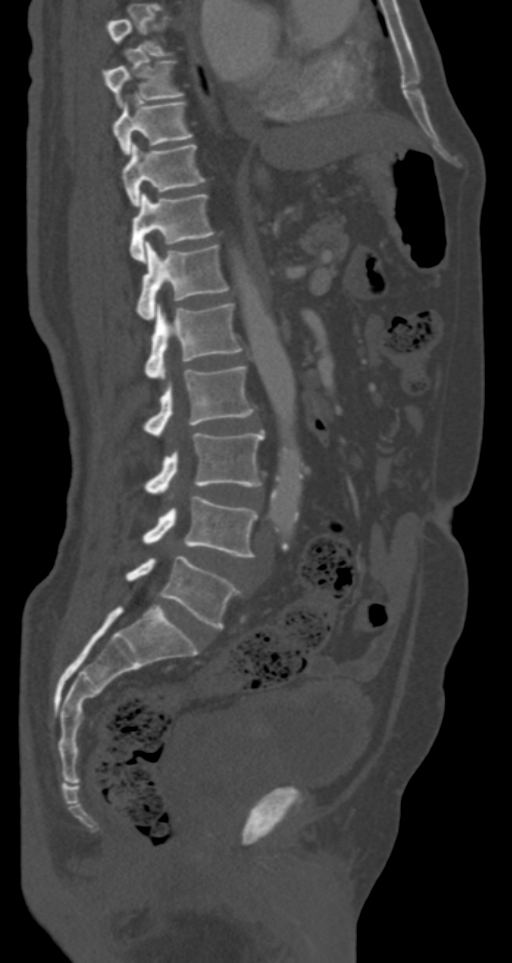
CT spine. sagittal view. the image is 287 mm wide
Box edges are left/top/right/bottom in pixels. A vertebra is boxed only from the first to the last slice where its cross-section is at least a third of its largest; slices outside that range leave it without a box. Vertebrae labeled: L5 at left=126, top=556, right=241, bottom=628, L4 at left=142, top=496, right=257, bottom=557, L3 at left=144, top=431, right=264, bottom=495, L2 at left=144, top=366, right=254, bottom=437, L1 at left=144, top=303, right=241, bottom=379, T12 at left=137, top=241, right=229, bottom=320, T11 at left=130, top=192, right=213, bottom=261, T10 at left=123, top=144, right=206, bottom=205, T9 at left=112, top=97, right=193, bottom=154, T8 at left=103, top=60, right=184, bottom=105.